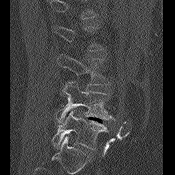

Spine CT; 175 mm across the image; sagittal view. Boxes are (x1, y1, x2, y2) in pixels.
Each vertebra is boxed only on the slices from the first to the last where its cross-section reaches a third of its largest, so a slice outside that range leaves it unboxed.
Vertebra bounding boxes:
- L3: (57, 54, 110, 85)
- L4: (56, 81, 113, 122)
- L5: (52, 109, 107, 149)